Spine computed tomography · sagittal view · bone window · 230x367 px · 9 vertebrae labeled in this scan
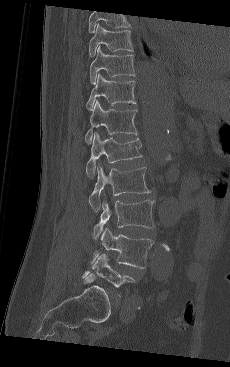
Boxes: x1:y1:x2:y2 in pixels.
Labels in this scan begin with T9 at the top and end with L5 at the bottom.
T9: 89:24:133:57
T10: 89:46:135:84
T11: 86:74:136:110
T12: 84:100:137:143
L1: 85:132:142:178
L2: 88:164:150:211
L3: 93:200:154:239
L4: 93:227:153:268
L5: 82:254:136:296